Spine computed tomography — sagittal plane, index 63 — Bone window (WL 400, WW 1800)
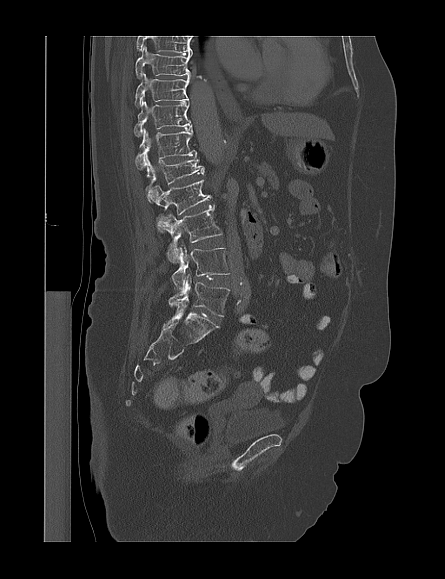
The highest labeled vertebra in this scan is T9; the lowest is L5.
<vertebrae><v name="L5" x1="168" y1="273" x2="229" y2="316"/><v name="L4" x1="171" y1="246" x2="229" y2="289"/><v name="L3" x1="165" y1="206" x2="222" y2="263"/><v name="L2" x1="152" y1="179" x2="211" y2="229"/><v name="L1" x1="146" y1="155" x2="204" y2="202"/><v name="T12" x1="135" y1="128" x2="197" y2="169"/><v name="T11" x1="133" y1="99" x2="190" y2="137"/><v name="T10" x1="135" y1="72" x2="189" y2="107"/><v name="T9" x1="135" y1="46" x2="190" y2="78"/></vertebrae>